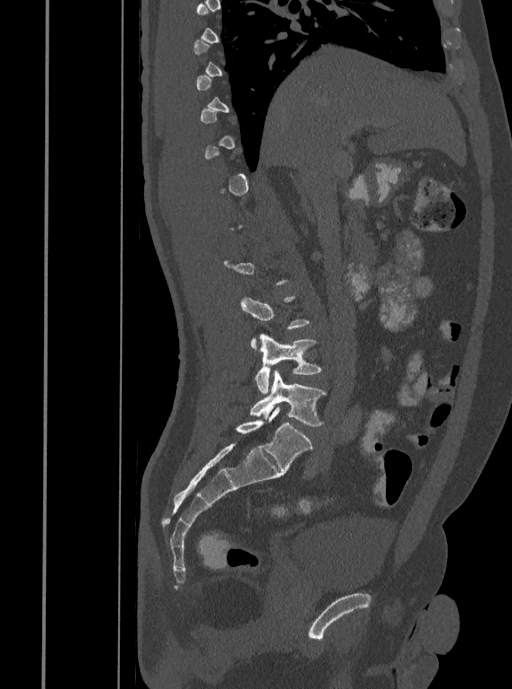
Spine computed tomography; sagittal view; bone-window reconstruction. Bounding boxes as [x1, y1, x2, y2] in pixel coordinates. Not every vertebra on this slice has a box: a vertebra is boxed only from the first to the last slice where its cross-section is at least a third of its largest, and this slice is outside that range for at least one of them. The labeled vertebrae in this slice are: L4 at [254, 334, 321, 393], L5 at [250, 370, 325, 426].